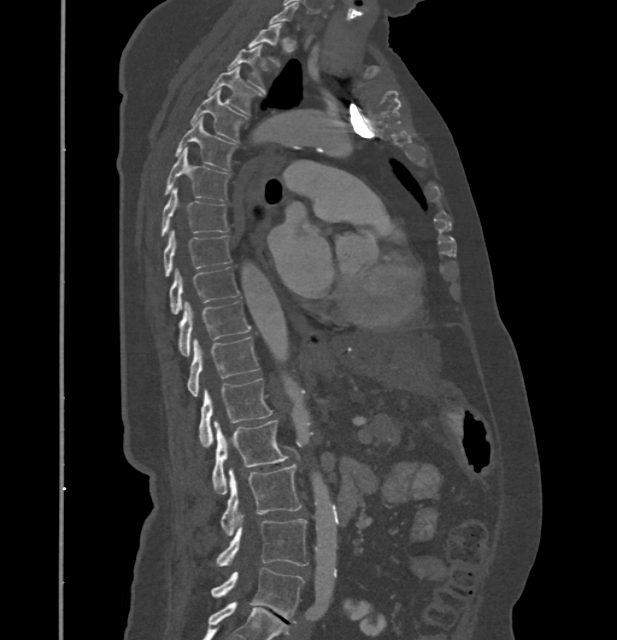 Computed tomography of the spine · sagittal view · bone-window reconstruction · 617x640 px. Boxes are (x1, y1, x2, y2) in pixels. Not every vertebra on this slice has a box: a vertebra is boxed only from the first to the last slice where its cross-section is at least a third of its largest, and this slice is outside that range for at least one of them. In these labels the spine has no T12: the thoracic vertebrae end at T11, and L1 comes next. The labeled vertebrae in this slice are: T2 at (229, 46, 263, 89), T3 at (209, 66, 261, 115), T4 at (192, 90, 244, 141), T5 at (176, 119, 234, 171), T6 at (164, 149, 228, 201), T7 at (162, 187, 228, 235), T8 at (164, 230, 230, 276), T9 at (170, 267, 239, 314), T10 at (178, 302, 250, 356), T11 at (187, 337, 259, 396), L1 at (199, 379, 271, 448), L2 at (212, 420, 287, 494), L3 at (222, 465, 300, 535), L4 at (217, 515, 308, 566), L5 at (211, 567, 303, 622).